CT spine. Sagittal slice 361/768. 768x1012 px
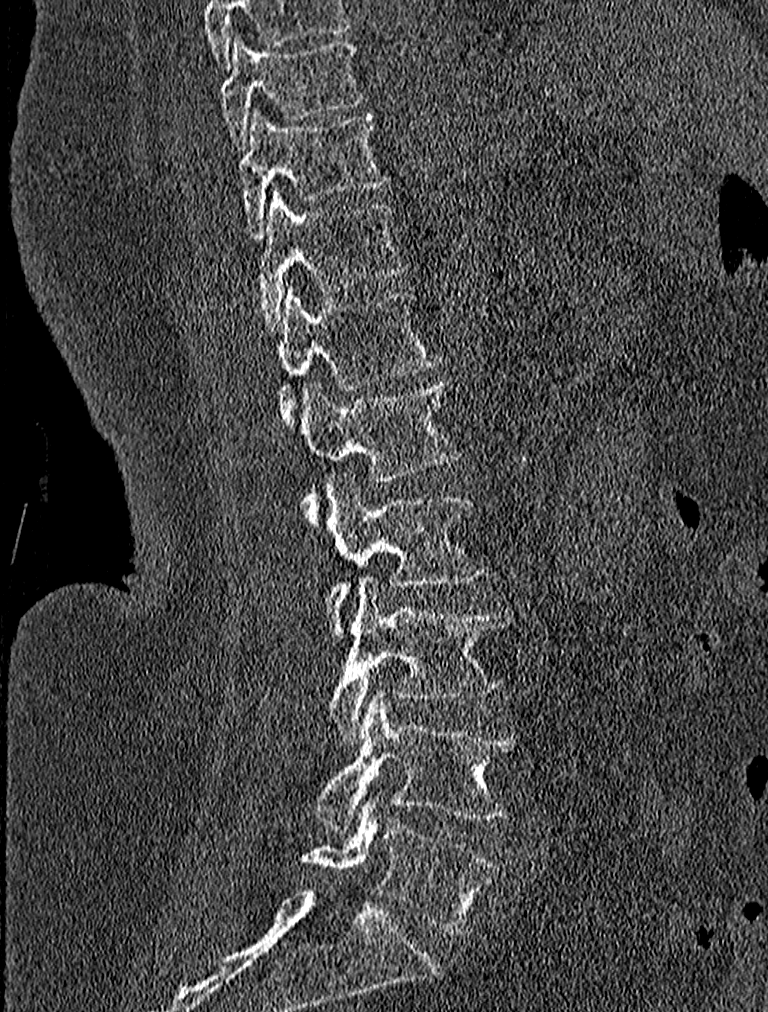

Box edges are left/top/right/bottom in pixels.
Vertebra bounding boxes:
- T9: left=219, top=33, right=363, bottom=148
- T10: left=239, top=110, right=390, bottom=237
- T11: left=254, top=187, right=407, bottom=331
- T12: left=257, top=285, right=441, bottom=428
- L1: left=303, top=379, right=461, bottom=526
- L2: left=327, top=473, right=488, bottom=637
- L3: left=330, top=577, right=512, bottom=742
- L4: left=313, top=691, right=521, bottom=826
- L5: left=300, top=801, right=502, bottom=934